Spine computed tomography · image 204 mm wide · sagittal reformat
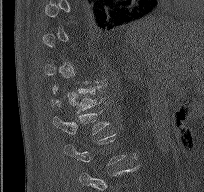 Box values are [left, top, right, bottom] in pixels.
Not every vertebra on this slice has a box: a vertebra is boxed only from the first to the last slice where its cross-section is at least a third of its largest, and this slice is outside that range for at least one of them.
{"vertebrae":{"T12":[51,86,101,113],"L1":[53,110,109,134]}}